Computed tomography of the spine; sagittal reformat; the image spans 331 mm across; 331x696 px
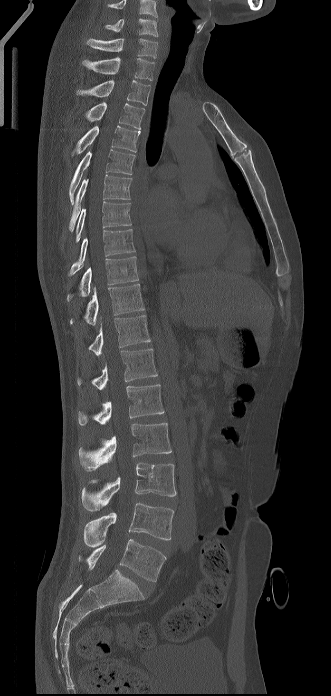

In the table, x1 and y1 are a box's top-left corner and x2 and y2 its bottom-right corner, in pixels.
In this scan, the topmost labeled vertebra is C6 and the lowest is L5.
| vertebra | x1 | y1 | x2 | y2 |
|---|---|---|---|---|
| L5 | 79 | 539 | 166 | 581 |
| L4 | 84 | 503 | 173 | 547 |
| L3 | 82 | 463 | 176 | 511 |
| L2 | 79 | 423 | 171 | 470 |
| L1 | 78 | 384 | 164 | 425 |
| T12 | 77 | 348 | 157 | 390 |
| T11 | 88 | 315 | 150 | 355 |
| T10 | 70 | 284 | 144 | 324 |
| T9 | 67 | 256 | 138 | 301 |
| T8 | 68 | 229 | 135 | 276 |
| T7 | 76 | 201 | 131 | 242 |
| T6 | 69 | 174 | 131 | 231 |
| T5 | 69 | 149 | 135 | 204 |
| T4 | 72 | 125 | 140 | 155 |
| T3 | 85 | 102 | 144 | 129 |
| T2 | 75 | 80 | 150 | 105 |
| T1 | 82 | 57 | 154 | 80 |
| C7 | 86 | 38 | 157 | 58 |
| C6 | 105 | 18 | 157 | 36 |